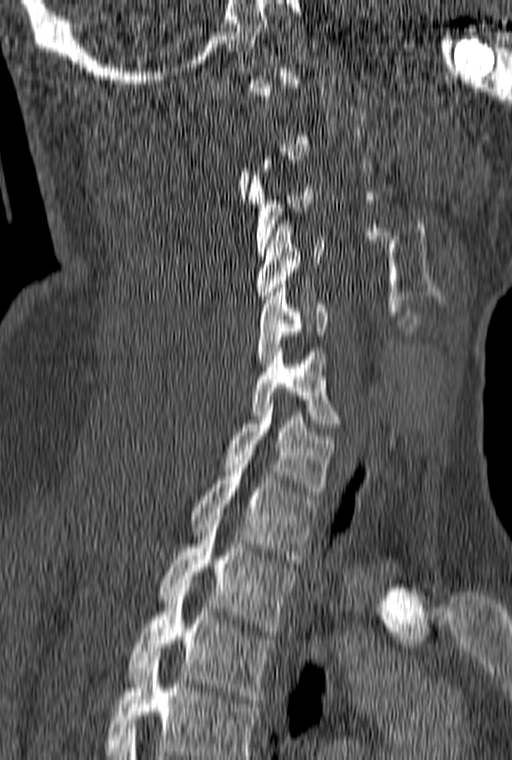
CT spine; sagittal view; bone window

Box values are [left, top, right, bottom] in pixels.
A vertebra is boxed only from the first to the last slice where its cross-section is at least a third of its largest; slices outside that range leave it without a box.
In this scan, the topmost labeled vertebra is C1 and the lowest is T3.
{"vertebrae":{"T3":[129,588,272,703],"T2":[158,520,295,635],"T1":[190,464,317,559],"C7":[225,400,333,495],"C6":[251,344,339,427],"C5":[257,284,327,367],"C4":[257,220,323,303],"C3":[248,172,313,255]}}